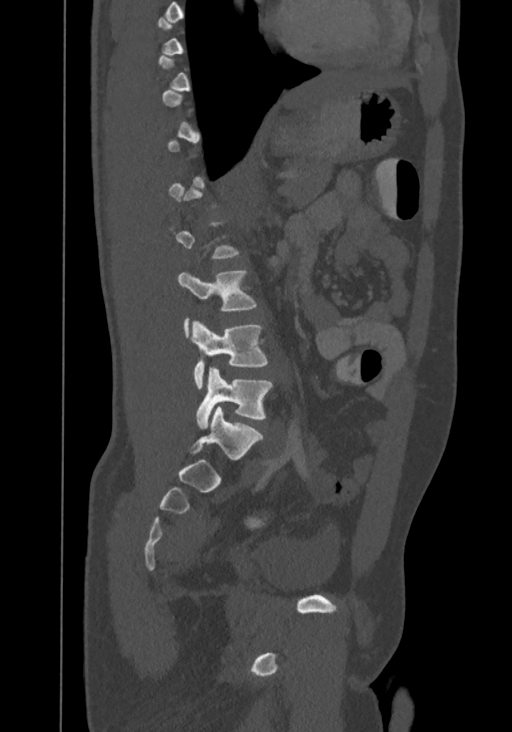 CT, spine — the image spans 367 mm across — sagittal view — 512x732 px
Boxes below are [x1, y1, x2, y2] in pixels.
A vertebra is boxed only from the first to the last slice where its cross-section is at least a third of its largest; slices outside that range leave it without a box.
Labels in this scan begin with T8 at the top and end with L4 at the bottom.
{"vertebrae":{"L2":[177,270,257,337],"L3":[191,320,268,388],"L4":[197,367,272,428]}}